Spine CT; Sagittal slice 232/512; 474 mm across the image; bone window
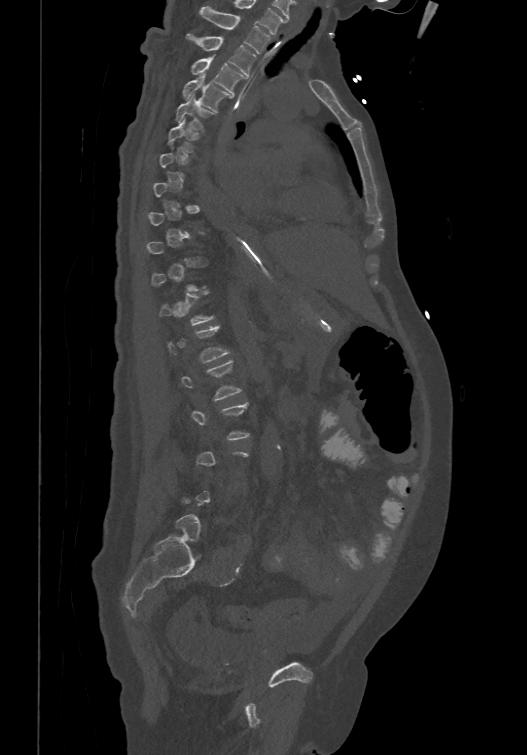

Each box given as x1,y1,x2,y2. Each vertebra is boxed only on the slices from the first to the last where its cross-section reaches a third of its largest, so a slice outside that range leaves it unboxed. The labeled vertebrae in this slice are: T1 at x1=200, y1=5, x2=269, y2=53, T2 at x1=186, y1=33, x2=255, y2=75, T3 at x1=190, y1=55, x2=244, y2=92, T4 at x1=182, y1=73, x2=231, y2=110, T5 at x1=176, y1=93, x2=215, y2=131, T6 at x1=168, y1=119, x2=200, y2=152.